CT, spine — Sagittal slice 220/512 — 190 mm image width — Bone window (WL 400, WW 1800)
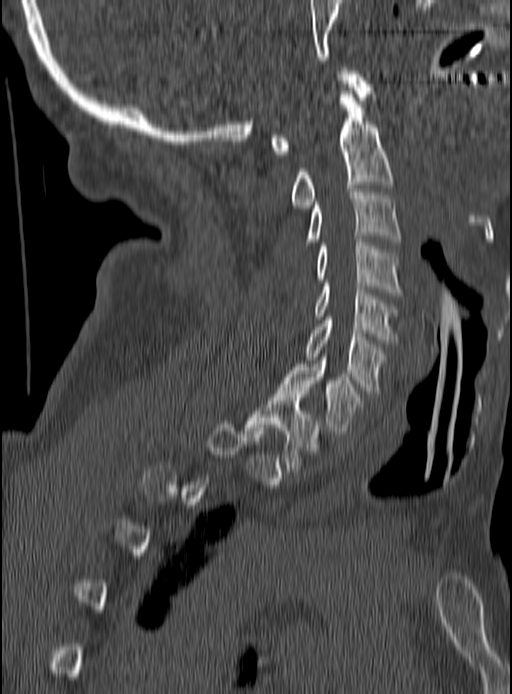

Each vertebra is boxed only on the slices from the first to the last where its cross-section reaches a third of its largest, so a slice outside that range leaves it unboxed.
<vertebrae><v name="T1" x1="246" y1="391" x2="321" y2="471"/><v name="C7" x1="280" y1="357" x2="364" y2="434"/><v name="C6" x1="305" y1="317" x2="385" y2="393"/><v name="C5" x1="313" y1="283" x2="396" y2="343"/><v name="C4" x1="316" y1="239" x2="401" y2="295"/><v name="C3" x1="305" y1="189" x2="401" y2="245"/><v name="C2" x1="289" y1="91" x2="393" y2="208"/><v name="C1" x1="270" y1="67" x2="372" y2="154"/></vertebrae>